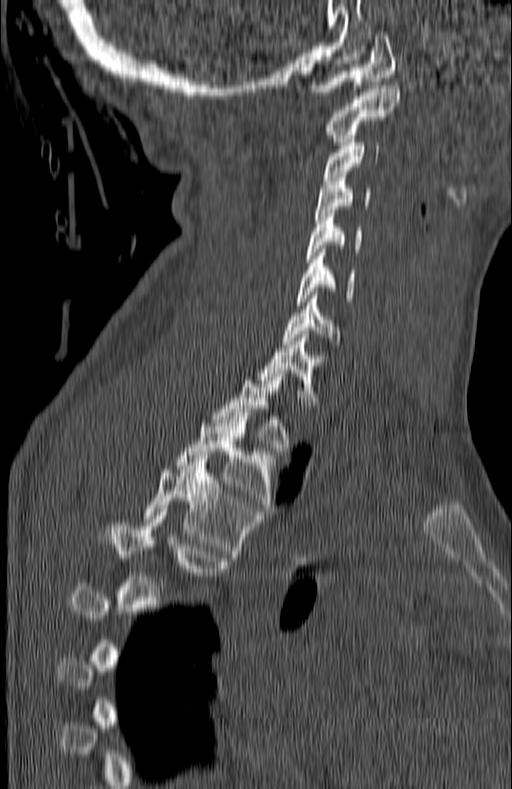
CT, spine · sagittal view · W/L 1800/400 HU · 512x789 px

Each vertebra maps to its box as [x1, y1, x2, y2], the pixel coordinates of its top-left and bottom-right corners.
A vertebra gets a box only on the slices from the first to the last where its cross-section is at least a third of its largest; on a slice outside that range it gets none.
{"vertebrae":{"T5":[100,516,227,600],"T4":[143,462,259,557],"T3":[177,412,279,511],"T2":[211,373,290,454],"T1":[257,334,328,408],"C7":[283,295,338,344],"C6":[297,249,355,305],"C5":[306,210,361,262],"C4":[314,174,370,219],"C3":[323,139,380,180],"C2":[325,85,398,141],"C1":[309,32,395,95]}}